CT spine · sagittal view · 512x640 px
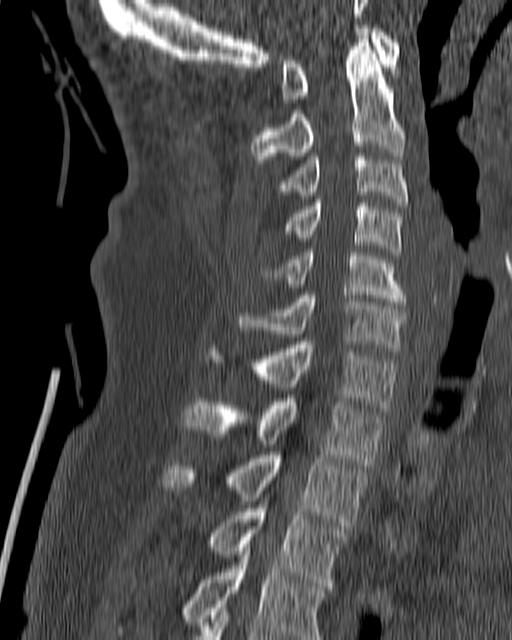
Columns x1, y1, x2, y2 give each box's top-left and bottom-right pixels.
| vertebra | x1 | y1 | x2 | y2 |
|---|---|---|---|---|
| C1 | 281 | 25 | 400 | 102 |
| C2 | 251 | 36 | 405 | 166 |
| C3 | 275 | 153 | 408 | 205 |
| C4 | 283 | 203 | 401 | 255 |
| C5 | 268 | 249 | 406 | 305 |
| C6 | 237 | 292 | 407 | 351 |
| C7 | 211 | 341 | 398 | 411 |
| T1 | 183 | 398 | 384 | 465 |
| T2 | 164 | 452 | 367 | 525 |
| T3 | 209 | 501 | 347 | 586 |
| T4 | 118 | 544 | 324 | 639 |